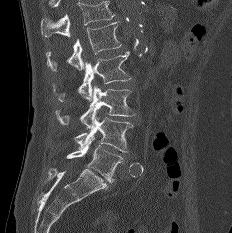

CT, spine · sagittal view

No box is given to a vertebra that the top edge of the scan cuts off.
<vertebrae><v name="L1" x1="46" y1="21" x2="121" y2="71"/><v name="L2" x1="52" y1="51" x2="131" y2="101"/><v name="L3" x1="55" y1="86" x2="134" y2="129"/><v name="L4" x1="74" y1="116" x2="133" y2="152"/><v name="L5" x1="66" y1="138" x2="122" y2="182"/></vertebrae>